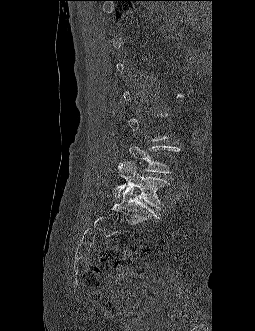
CT; sagittal view; Bone window (WL 400, WW 1800)
Columns x1, y1, x2, y2 give each box's top-left and bottom-right pixels.
A vertebra is boxed only from the first to the last slice where its cross-section is at least a third of its largest; slices outside that range leave it without a box.
| vertebra | x1 | y1 | x2 | y2 |
|---|---|---|---|---|
| L5 | 115 | 162 | 169 | 209 |
| L4 | 120 | 140 | 179 | 173 |